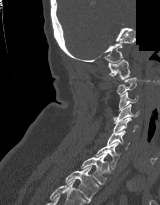 Spine CT; sagittal reformat; 160x205 px; a region is blanked to uniform black, ending in a straight edge. Box edges are left/top/right/bottom in pixels.
C1: left=108, top=59, right=130, bottom=79
C2: left=116, top=77, right=136, bottom=95
C3: left=118, top=92, right=138, bottom=111
C4: left=113, top=104, right=139, bottom=123
C5: left=112, top=118, right=138, bottom=134
C6: left=107, top=130, right=129, bottom=149
C7: left=95, top=142, right=119, bottom=169
T1: left=80, top=153, right=110, bottom=184
T2: left=65, top=166, right=99, bottom=202